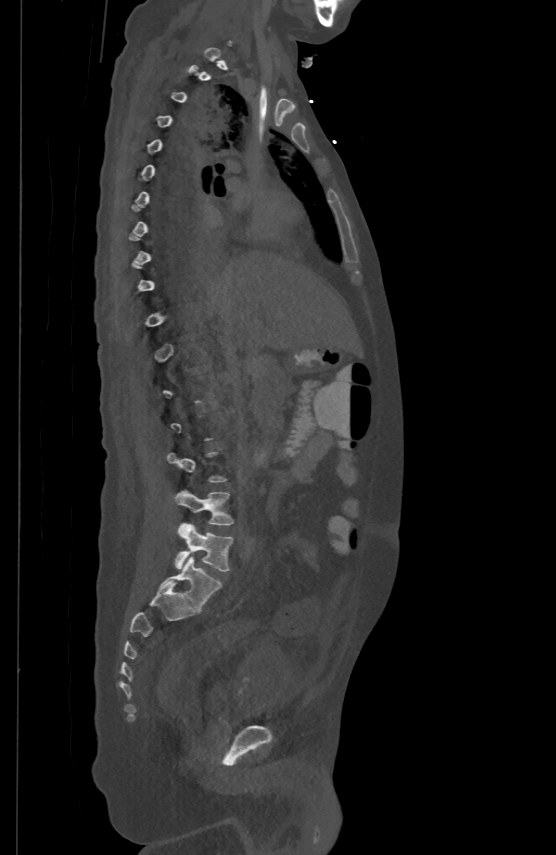 Computed tomography of the spine. sagittal view. bone-window reconstruction. 556x855 px. Box edges are left/top/right/bottom in pixels.
A vertebra is boxed only from the first to the last slice where its cross-section is at least a third of its largest; slices outside that range leave it without a box.
L4: left=174, top=491, right=233, bottom=524
L5: left=175, top=523, right=232, bottom=571